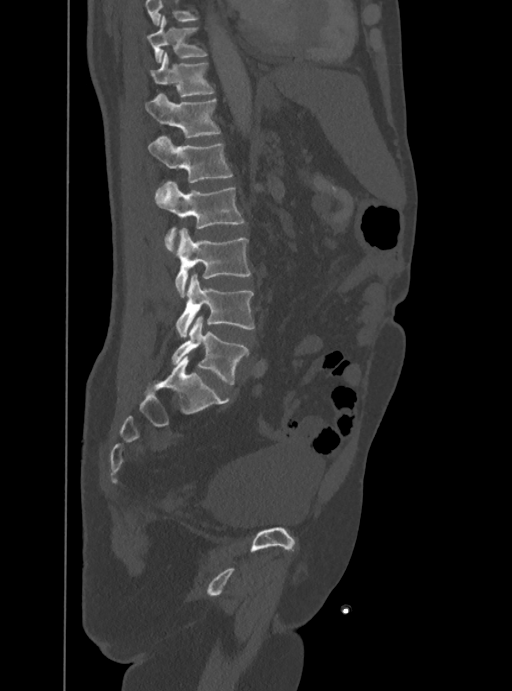

Spine CT; sagittal view; bone-window reconstruction
Box edges are left/top/right/bottom in pixels.
No box is given to a vertebra that the top edge of the scan cuts off.
| vertebra | x1 | y1 | x2 | y2 |
|---|---|---|---|---|
| L5 | 171 | 317 | 248 | 384 |
| L4 | 175 | 274 | 255 | 336 |
| L3 | 175 | 228 | 251 | 297 |
| L2 | 156 | 181 | 244 | 251 |
| L1 | 148 | 135 | 232 | 182 |
| T12 | 145 | 94 | 221 | 138 |
| T11 | 150 | 51 | 214 | 96 |
| T10 | 148 | 15 | 207 | 62 |